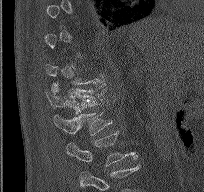
Computed tomography of the spine — sagittal view

Boxes: x1:y1:x2:y2 in pixels.
A vertebra is boxed only from the first to the last slice where its cross-section is at least a third of its largest; slices outside that range leave it without a box.
The highest labeled vertebra in this scan is T9; the lowest is L2.
Vertebra bounding boxes:
- T12: 46:81:105:113
- L1: 53:111:112:135
- L2: 66:131:137:167